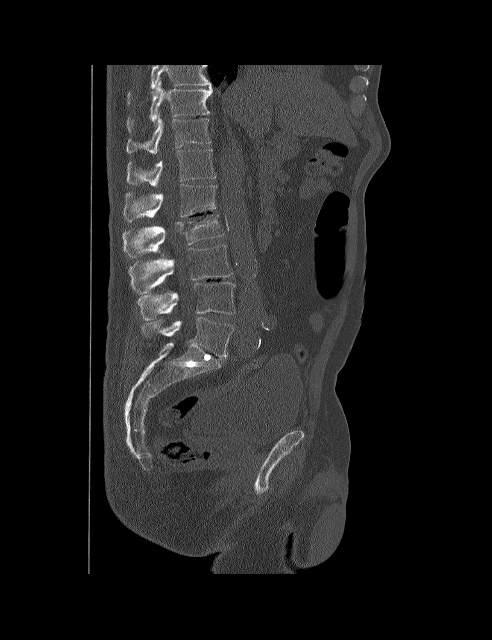

CT — sagittal reformat — bone window

Box values are [left, top, right, bottom] in pixels.
Labels in this scan begin with T10 at the top and end with L5 at the bottom.
{"vertebrae":{"T10":[127,80,213,133],"T11":[127,117,211,153],"T12":[127,149,215,187],"L1":[123,184,216,221],"L2":[122,214,223,258],"L3":[128,245,232,294],"L4":[138,282,235,320],"L5":[143,317,233,357]}}